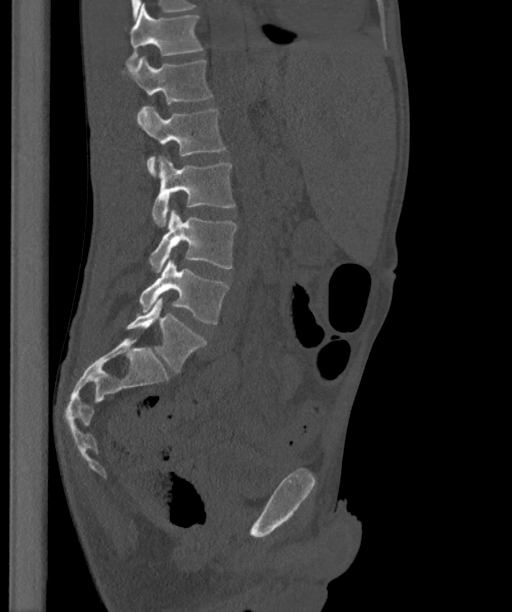

Spine CT; sagittal view; bone window; 512x612 px

Each box is [x1, y1, x2, y2] in pixels: top-left corner, then bottom-right corner.
These labels give the spine a sixth lumbar vertebra, L6, below L5.
{"vertebrae":{"L6":[126,298,206,372],"L5":[139,259,229,324],"L4":[149,209,236,272],"L3":[152,156,234,226],"L2":[137,105,226,177],"L1":[123,56,213,104],"T12":[126,4,203,64]}}